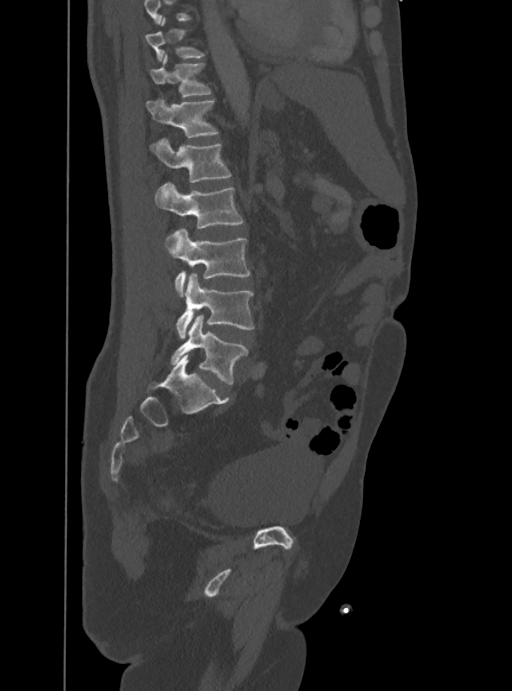 CT spine · sagittal view · bone window. Boxes are (x1, y1, x2, y2) in pixels.
Where the top of the scan cuts through a vertebra, that vertebra gets no label or box.
Vertebra bounding boxes:
- L5: (171, 315, 247, 384)
- L4: (177, 273, 254, 337)
- L3: (165, 228, 250, 296)
- L2: (154, 183, 243, 228)
- L1: (149, 139, 231, 182)
- T12: (146, 100, 218, 138)
- T11: (150, 53, 210, 96)
- T10: (145, 17, 203, 61)